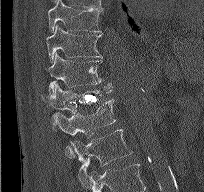

CT spine · sagittal reformat · 204 mm image width
Boxes below are [x1, y1, x2, y2] in pixels.
{"vertebrae":{"T9":[48,0,102,33],"T10":[46,24,102,63],"T11":[47,53,111,95],"T12":[42,84,112,131],"L1":[52,99,115,158],"L2":[70,129,132,185]}}